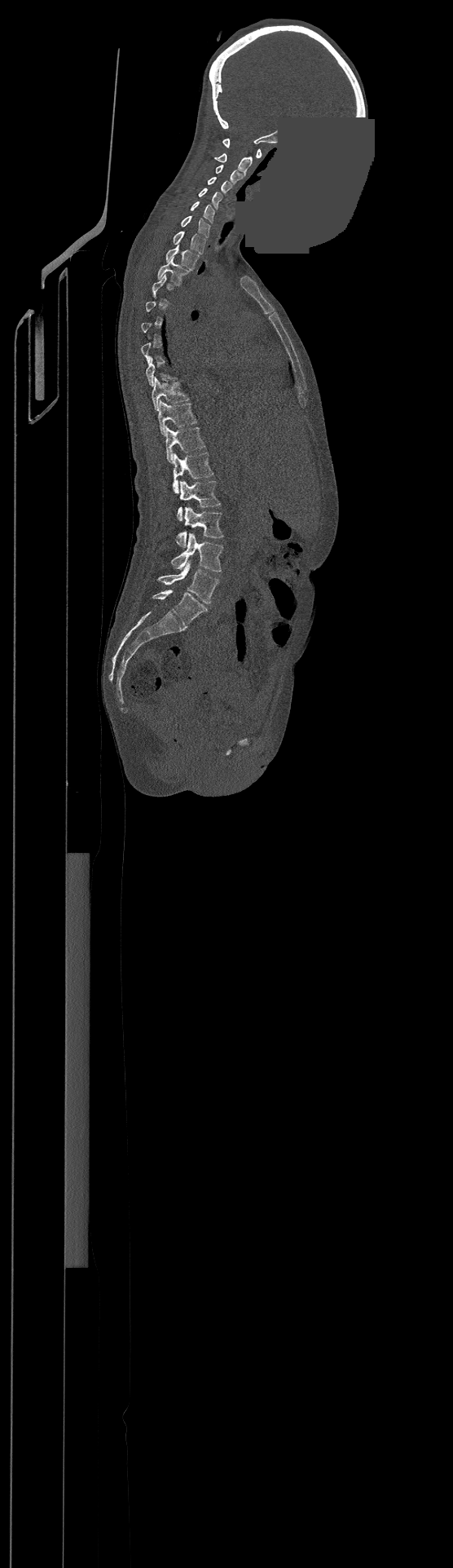 Computed tomography of the spine · sagittal view · the image spans 500 mm across · W/L 1800/400 HU · a region is masked with a constant gray value. Columns x1, y1, x2, y2 give each box's top-left and bottom-right pixels.
Each vertebra is boxed only on the slices from the first to the last where its cross-section reaches a third of its largest, so a slice outside that range leaves it unboxed.
Labels in this scan begin with C1 at the top and end with L4 at the bottom.
| vertebra | x1 | y1 | x2 | y2 |
|---|---|---|---|---|
| C1 | 222 | 139 | 261 | 157 |
| C2 | 215 | 152 | 252 | 174 |
| C3 | 216 | 165 | 242 | 183 |
| C4 | 207 | 177 | 231 | 194 |
| C5 | 198 | 188 | 222 | 208 |
| C6 | 191 | 201 | 214 | 223 |
| C7 | 181 | 215 | 210 | 237 |
| T1 | 174 | 231 | 205 | 254 |
| T2 | 165 | 245 | 198 | 270 |
| T3 | 157 | 258 | 188 | 285 |
| T9 | 152 | 378 | 188 | 410 |
| T10 | 158 | 400 | 196 | 435 |
| T11 | 165 | 426 | 205 | 463 |
| T12 | 174 | 453 | 213 | 492 |
| L1 | 177 | 481 | 220 | 520 |
| L2 | 176 | 507 | 223 | 547 |
| L3 | 172 | 532 | 223 | 572 |
| L4 | 157 | 560 | 218 | 603 |